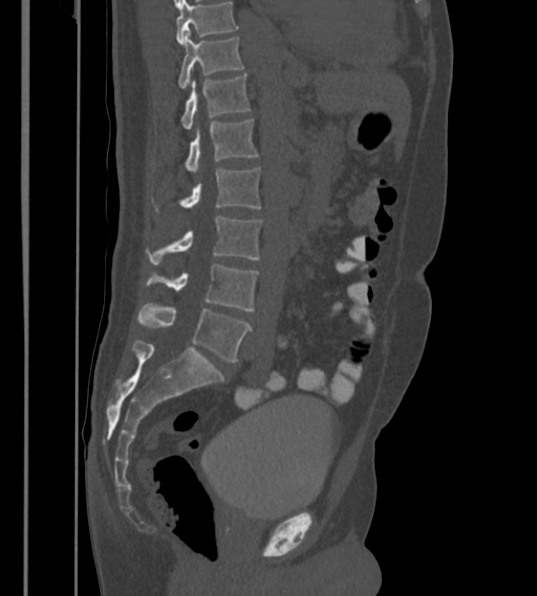

CT; sagittal reformat; bone-window reconstruction
Labels in this scan begin with T12 at the top and end with L6 at the bottom.
These labels give the spine a sixth lumbar vertebra, L6, below L5.
<vertebrae><v name="T12" x1="178" y1="32" x2="242" y2="89"/><v name="L1" x1="182" y1="75" x2="250" y2="129"/><v name="L2" x1="186" y1="119" x2="258" y2="174"/><v name="L3" x1="181" y1="167" x2="260" y2="209"/><v name="L4" x1="150" y1="216" x2="261" y2="264"/><v name="L5" x1="149" y1="264" x2="258" y2="311"/><v name="L6" x1="138" y1="304" x2="252" y2="363"/></vertebrae>